Computed tomography of the spine; sagittal reformat; bone window; 8 vertebrae labeled in this scan; some of the image was removed or blocked out with constant pixels
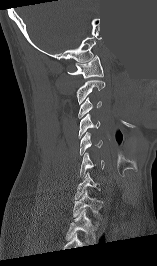
In the table, x1 and y1 are a box's top-left corner and x2 and y2 its bottom-right corner, in pixels.
This scan's labels start at C1 at the top and end at T1 at the bottom.
| vertebra | x1 | y1 | x2 | y2 |
|---|---|---|---|---|
| T1 | 72 | 189 | 101 | 217 |
| C7 | 74 | 172 | 101 | 199 |
| C6 | 80 | 152 | 104 | 176 |
| C5 | 80 | 132 | 102 | 155 |
| C4 | 78 | 114 | 99 | 138 |
| C3 | 78 | 97 | 101 | 119 |
| C2 | 76 | 80 | 105 | 103 |
| C1 | 68 | 55 | 103 | 78 |